CT spine — sagittal view — bone window — 512x919 px — 12 vertebrae labeled in this scan
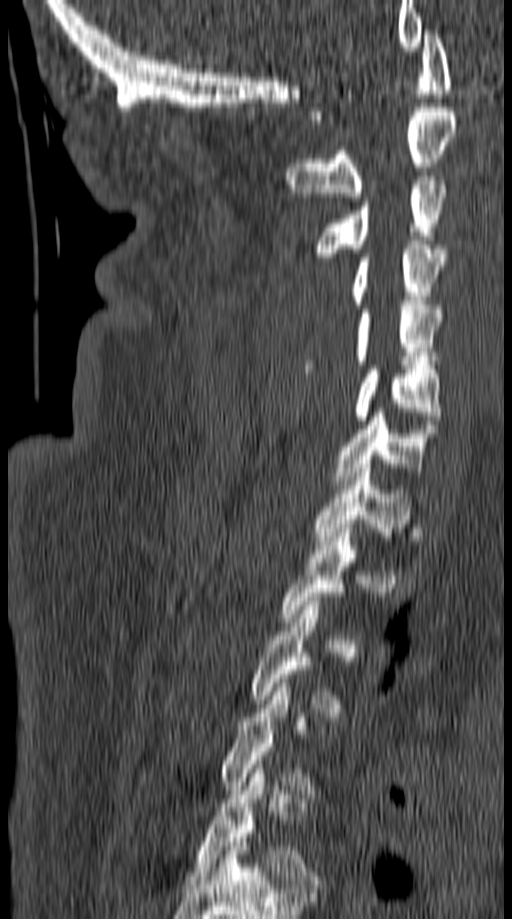

Each vertebra is boxed only on the slices from the first to the last where its cross-section reaches a third of its largest, so a slice outside that range leaves it unboxed.
<vertebrae><v name="C1" x1="310" y1="30" x2="451" y2="119"/><v name="C2" x1="286" y1="107" x2="457" y2="201"/><v name="C3" x1="311" y1="176" x2="449" y2="261"/><v name="C4" x1="352" y1="241" x2="448" y2="308"/><v name="C5" x1="304" y1="305" x2="441" y2="373"/><v name="C6" x1="355" y1="365" x2="441" y2="420"/><v name="C7" x1="333" y1="408" x2="437" y2="489"/><v name="T1" x1="313" y1="464" x2="411" y2="545"/></vertebrae>